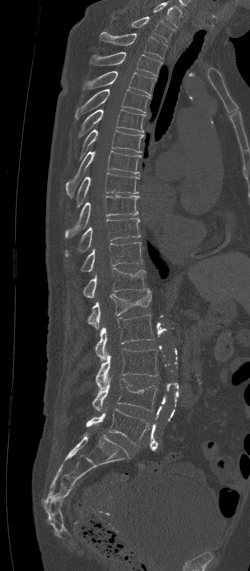 Spine CT · sagittal view · W/L 1800/400 HU · 250x571 px
This scan's labels start at C7 at the top and end at L5 at the bottom.
<vertebrae><v name="L5" x1="86" y1="409" x2="149" y2="444"/><v name="L4" x1="91" y1="377" x2="158" y2="411"/><v name="L3" x1="96" y1="348" x2="157" y2="388"/><v name="L2" x1="95" y1="314" x2="155" y2="360"/><v name="L1" x1="88" y1="287" x2="151" y2="329"/><v name="T12" x1="83" y1="267" x2="146" y2="297"/><v name="T11" x1="81" y1="242" x2="141" y2="271"/><v name="T10" x1="65" y1="218" x2="140" y2="256"/><v name="T9" x1="65" y1="196" x2="138" y2="238"/><v name="T8" x1="76" y1="172" x2="140" y2="207"/><v name="T7" x1="66" y1="150" x2="141" y2="198"/><v name="T6" x1="78" y1="129" x2="144" y2="161"/><v name="T5" x1="77" y1="109" x2="145" y2="138"/><v name="T4" x1="75" y1="89" x2="149" y2="117"/><v name="T3" x1="82" y1="71" x2="155" y2="96"/><v name="T2" x1="91" y1="52" x2="161" y2="76"/><v name="T1" x1="100" y1="32" x2="168" y2="58"/><v name="C7" x1="131" y1="17" x2="175" y2="40"/></vertebrae>